CT spine — Sagittal slice 302/512 — bone-window reconstruction — 512x780 px
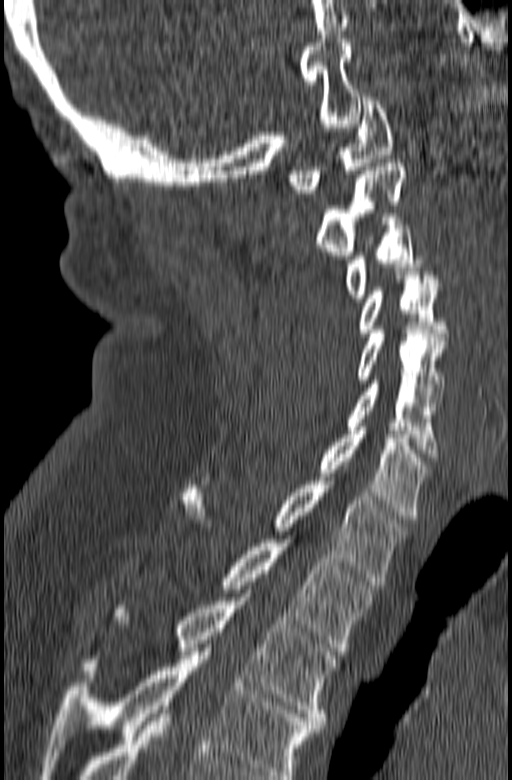

The highest labeled vertebra in this scan is C1; the lowest is T3.
<vertebrae><v name="T3" x1="82" y1="597" x2="336" y2="728"/><v name="T2" x1="221" y1="539" x2="379" y2="651"/><v name="T1" x1="180" y1="481" x2="411" y2="585"/><v name="C7" x1="316" y1="427" x2="432" y2="523"/><v name="C6" x1="345" y1="380" x2="438" y2="457"/><v name="C5" x1="355" y1="330" x2="447" y2="402"/><v name="C4" x1="358" y1="272" x2="449" y2="336"/><v name="C3" x1="345" y1="217" x2="428" y2="302"/><v name="C2" x1="314" y1="163" x2="406" y2="259"/><v name="C1" x1="287" y1="97" x2="394" y2="197"/></vertebrae>